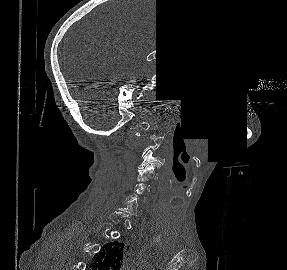 CT spine; sagittal view; bone-window reconstruction; a region of this slice is masked with a uniform fill. Each box given as x1,y1,x2,y2. Not every vertebra on this slice has a box: a vertebra is boxed only from the first to the last slice where its cross-section is at least a third of its largest, and this slice is outside that range for at least one of them. 2 vertebrae labeled — C3 at x1=138, y1=150, x2=164, y2=168; C4 at x1=137, y1=162, x2=160, y2=181.